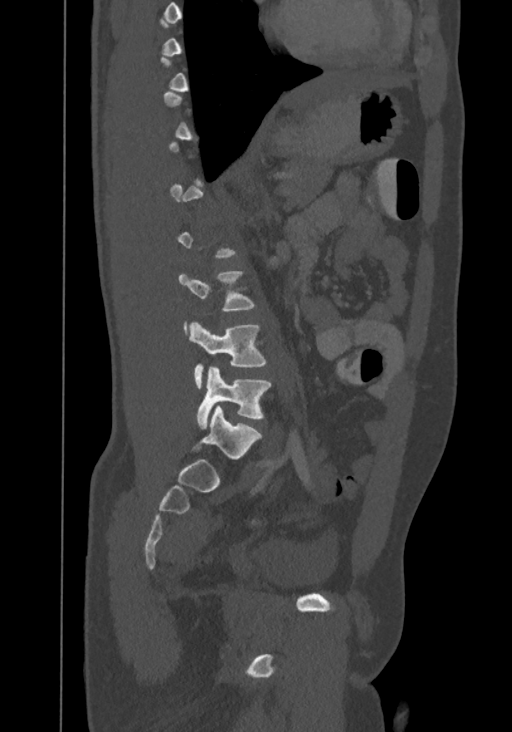 Spine computed tomography — the image is 367 mm wide — sagittal view — W/L 1800/400 HU
Boxes: x1 y1 x2 y2 (pixel coords, space-separated). Not every vertebra on this slice has a box: a vertebra is boxed only from the first to the last slice where its cross-section is at least a third of its largest, and this slice is outside that range for at least one of them. Labels in this scan begin with T8 at the top and end with L4 at the bottom. The labeled vertebrae in this slice are: L2 at 178 271 254 335, L3 at 188 321 265 388, L4 at 197 367 271 428.